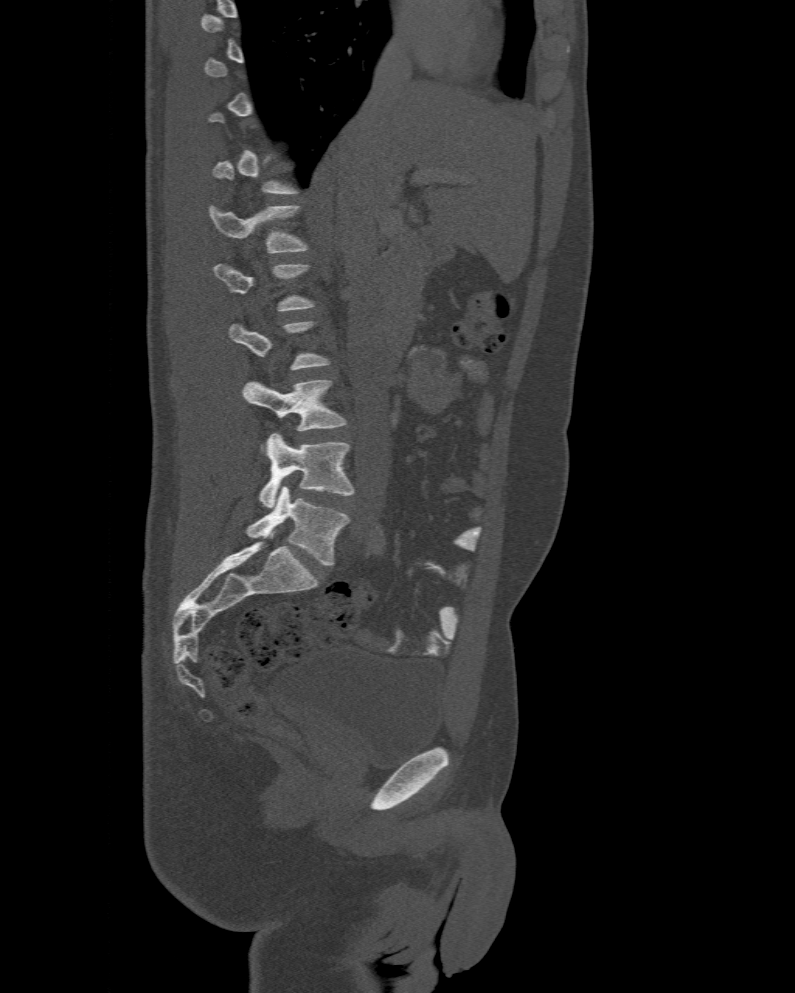

CT spine. 477 mm across the image. sagittal view. bone window. 795x993 px. In the table, x1 and y1 are a box's top-left corner and x2 and y2 its bottom-right corner, in pixels.
Not every vertebra on this slice has a box: a vertebra is boxed only from the first to the last slice where its cross-section is at least a third of its largest, and this slice is outside that range for at least one of them.
The labels name a sixth lumbar vertebra for this spine: L6, after L5.
| vertebra | x1 | y1 | x2 | y2 |
|---|---|---|---|---|
| L1 | 208 | 205 | 308 | 252 |
| L4 | 242 | 380 | 345 | 431 |
| L5 | 258 | 433 | 355 | 508 |
| L6 | 247 | 485 | 348 | 566 |